CT spine. sagittal reformat. bone window
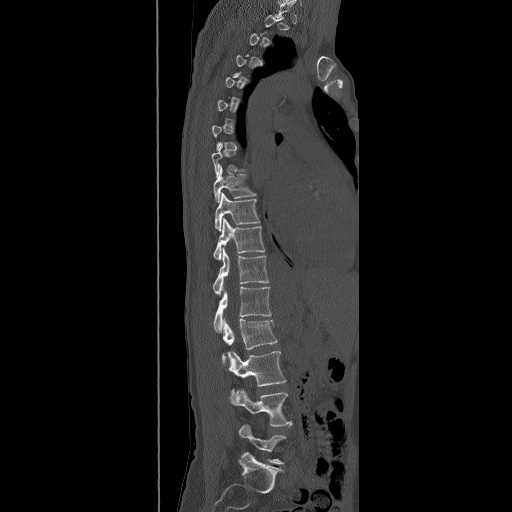 Each box is [x1, y1, x2, y2] in pixels: top-left corner, then bottom-right corner.
A vertebra gets a box only on the slices from the first to the last where its cross-section is at least a third of its largest; on a slice outside that range it gets none.
{"vertebrae":{"L5":[239,424,286,464],"L4":[233,388,292,426],"L3":[227,351,287,404],"L2":[221,318,277,363],"L1":[213,286,271,332],"T12":[212,247,269,298],"T11":[213,217,265,260],"T10":[215,192,261,231],"T9":[213,165,256,203]}}